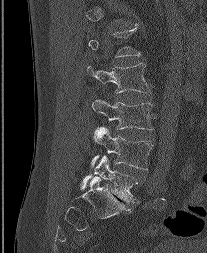
Spine computed tomography; 207 mm image width; sagittal view
A vertebra is boxed only from the first to the last slice where its cross-section is at least a third of its largest; slices outside that range leave it without a box.
<vertebrae><v name="L2" x1="87" y1="63" x2="150" y2="92"/><v name="L3" x1="92" y1="99" x2="153" y2="129"/><v name="L4" x1="91" y1="127" x2="153" y2="169"/><v name="L5" x1="81" y1="155" x2="138" y2="202"/></vertebrae>